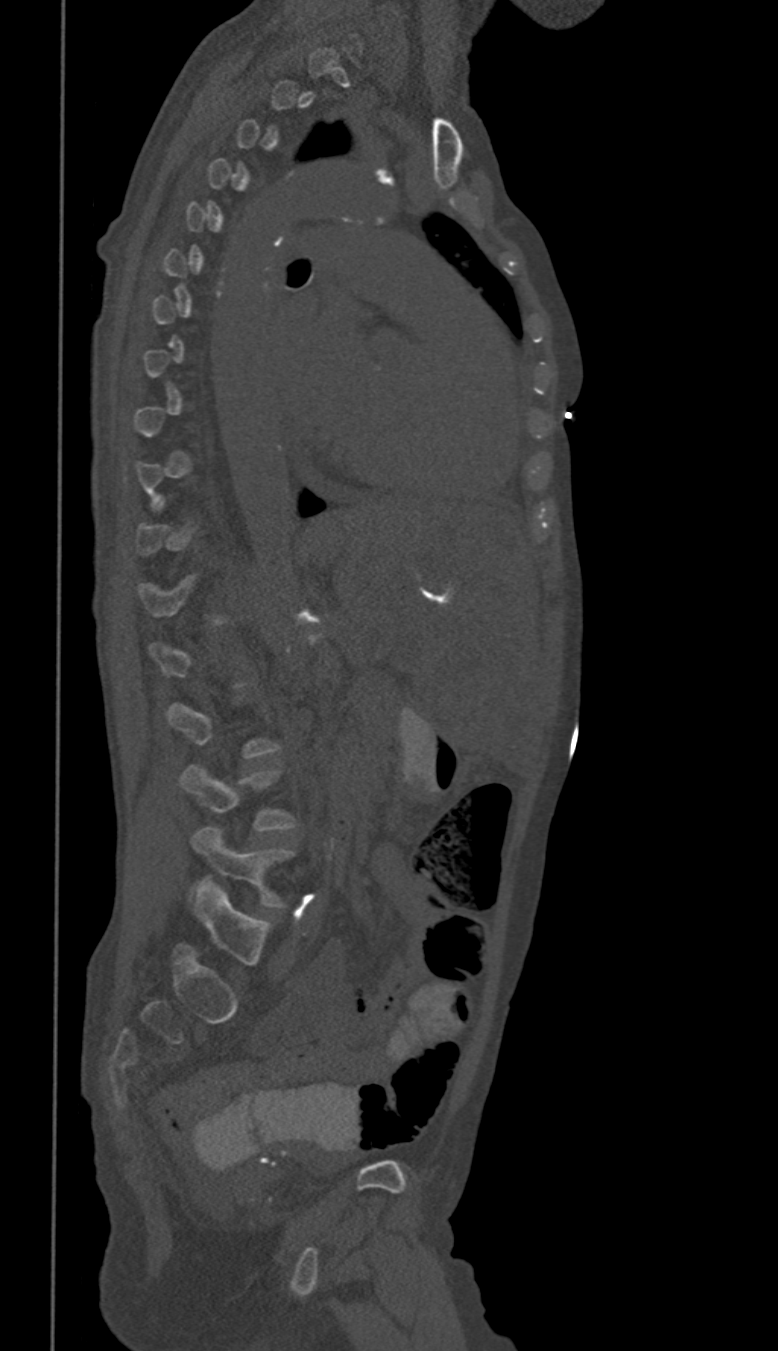

CT, spine — sagittal view. Box edges are left/top/right/bottom in pixels.
Not every vertebra on this slice has a box: a vertebra is boxed only from the first to the last slice where its cross-section is at least a third of its largest, and this slice is outside that range for at least one of them.
L4: left=179, top=765, right=297, bottom=831
L5: left=191, top=827, right=294, bottom=906